CT, spine — Sagittal slice 244/512 — the image is 461 mm wide — Bone window (WL 400, WW 1800) — 17 vertebrae labeled in this scan
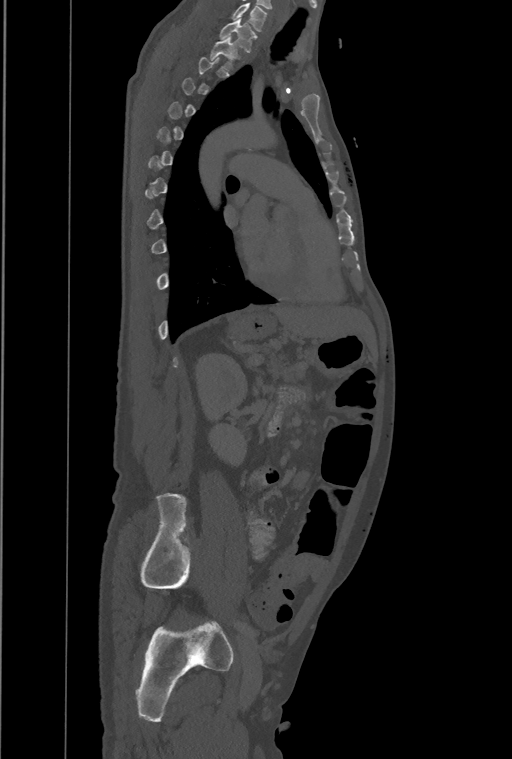

Each vertebra maps to its box as [x1, y1, x2, y2], the pixel coordinates of its top-left and bottom-right corners.
Each vertebra is boxed only on the slices from the first to the last where its cross-section reaches a third of its largest, so a slice outside that range leaves it unboxed.
This scan's labels start at T1 at the top and end at L4 at the bottom.
{"vertebrae":{"T1":[219,16,256,51],"T2":[211,36,236,68]}}